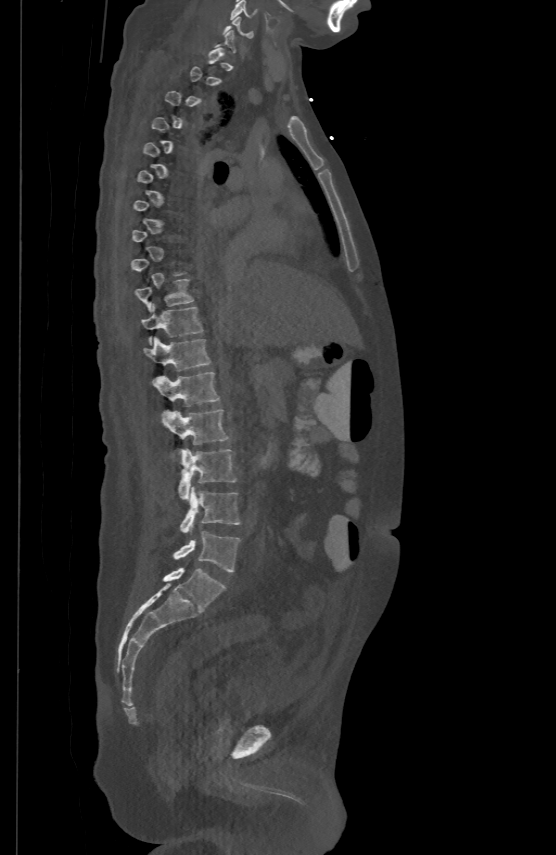
CT. sagittal view. bone window
Boxes are (x1, y1, x2, y2) in pixels.
Each vertebra is boxed only on the slices from the first to the last where its cross-section reaches a third of its largest, so a slice outside that range leaves it unboxed.
Vertebra bounding boxes:
- C5: (230, 0, 257, 19)
- C6: (224, 16, 252, 36)
- T10: (136, 277, 193, 310)
- T11: (141, 304, 203, 343)
- T12: (143, 336, 211, 370)
- L1: (153, 371, 220, 405)
- L2: (162, 409, 229, 444)
- L3: (178, 448, 236, 500)
- L4: (180, 487, 240, 532)
- L5: (174, 531, 240, 572)